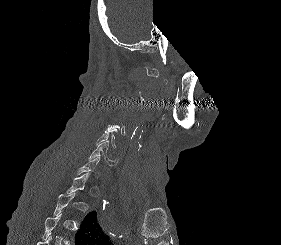 CT spine — sagittal view — W/L 1800/400 HU — 281x245 px — an area of the scan was removed and filled with constant pixels
Each vertebra maps to its box as [x1, y1, x2, y2], the pixel coordinates of its top-left and bottom-right corners.
Each vertebra is boxed only on the slices from the first to the last where its cross-section reaches a third of its largest, so a slice outside that range leaves it unboxed.
{"vertebrae":{"C5":[95,131,116,147],"C6":[87,140,118,165]}}